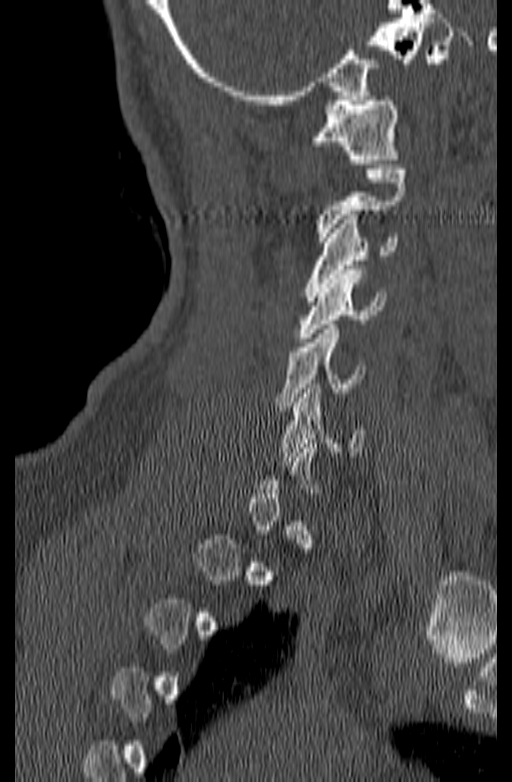
Spine CT · sagittal reformat · 512x782 px · image 140 mm wide
Box edges are left/top/right/bottom in pixels.
Not every vertebra on this slice has a box: a vertebra is boxed only from the first to the last slice where its cross-section is at least a third of its largest, and this slice is outside that range for at least one of them.
C1: left=309, top=96, right=398, bottom=164
C2: left=316, top=169, right=406, bottom=241
C3: left=305, top=215, right=397, bottom=301
C4: left=297, top=270, right=386, bottom=342
C5: left=275, top=325, right=365, bottom=406
C6: left=280, top=384, right=362, bottom=461